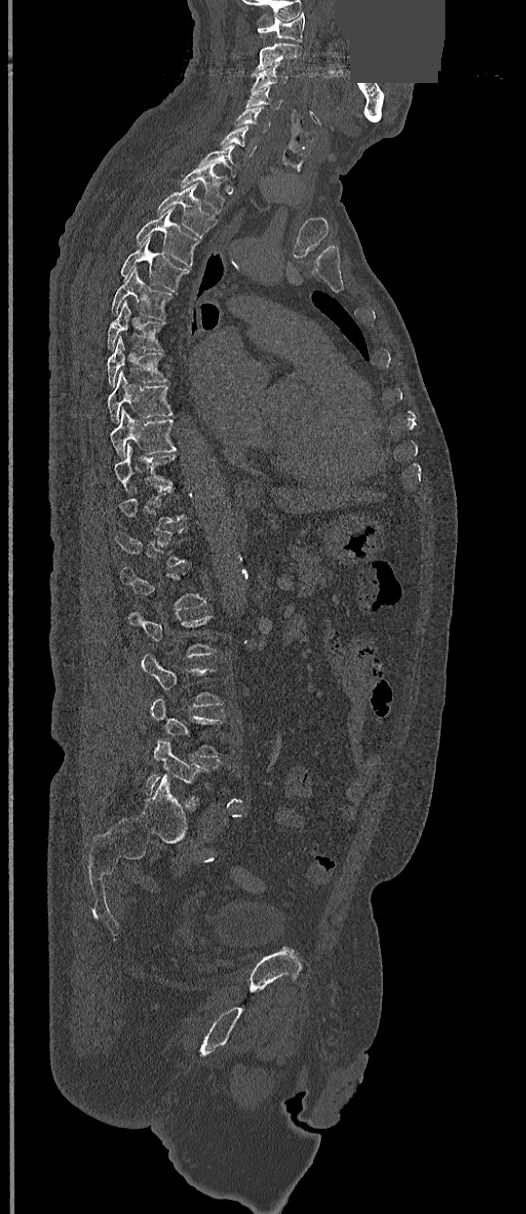
CT, spine · sagittal view · W/L 1800/400 HU · the image spans 368 mm across · part of the image is a flat gray fill, not anatomy
Coordinates as <box>x1,y1,x2,y2</box>.
Each vertebra is boxed only on the slices from the first to the last where its cross-section reaches a third of its largest, so a slice outside that range leaves it unboxed.
Vertebra bounding boxes:
- C1: <box>257,13,305,40</box>
- C2: <box>252,43,302,76</box>
- C3: <box>252,64,289,88</box>
- C4: <box>245,87,281,109</box>
- C5: <box>234,106,272,133</box>
- C6: <box>220,126,257,156</box>
- C7: <box>198,144,237,188</box>
- T1: <box>180,167,225,212</box>
- T2: <box>157,184,218,238</box>
- T3: <box>136,208,199,266</box>
- T4: <box>120,239,189,290</box>
- T5: <box>110,268,171,319</box>
- T6: <box>107,301,163,350</box>
- T7: <box>107,336,167,386</box>
- T8: <box>107,371,171,420</box>
- T9: <box>110,409,176,456</box>
- T10: <box>114,446,176,493</box>
- L5: <box>144,740,208,800</box>